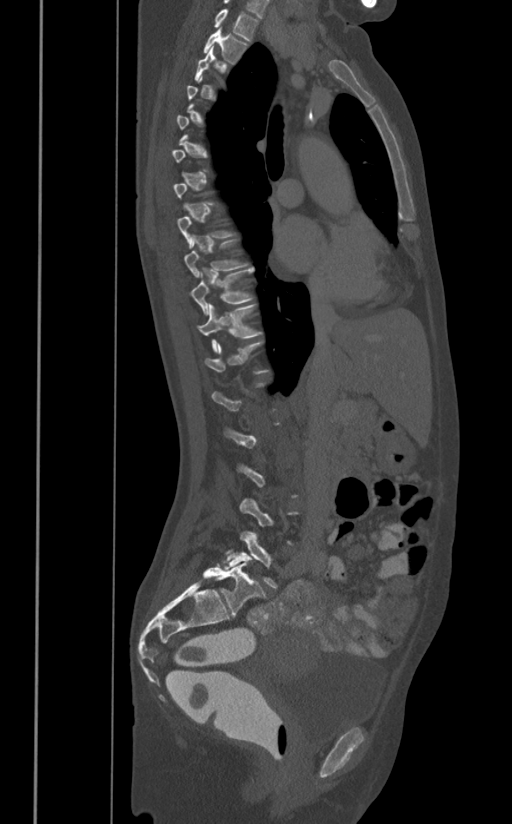
CT spine; 391 mm across the image; sagittal view; bone-window reconstruction
Boxes: x1:y1:x2:y2 in pixels.
Each vertebra is boxed only on the slices from the first to the last where its cross-section reaches a third of its largest, so a slice outside that range leaves it unboxed.
Vertebra bounding boxes:
- T1: 213:9:258:41
- T2: 203:27:248:64
- T9: 183:239:246:277
- T10: 190:268:253:315
- T11: 196:304:262:353
- L5: 223:530:276:587